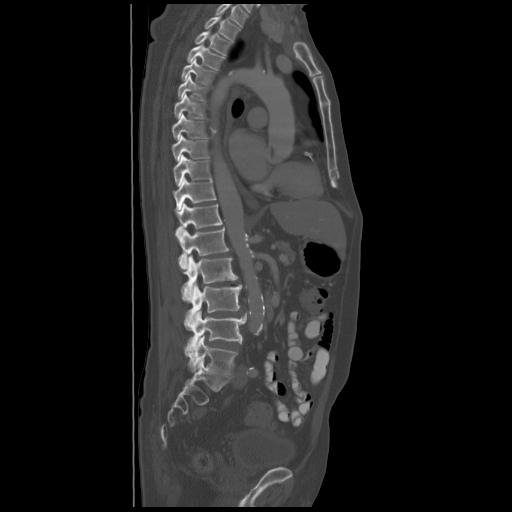

CT. sagittal view. Bone window (WL 400, WW 1800). 512x512 px. image width 600 mm
Bounding boxes as [x1, y1, x2, y2] in pixel coordinates.
This scan's labels start at T2 at the top and end at L5 at the bottom.
Vertebra bounding boxes:
- T2: [205, 16, 240, 42]
- T3: [194, 32, 231, 55]
- T4: [187, 44, 224, 70]
- T5: [181, 59, 216, 84]
- T6: [177, 74, 208, 100]
- T7: [174, 94, 205, 118]
- T8: [172, 113, 206, 139]
- T9: [171, 135, 209, 161]
- T10: [173, 154, 211, 186]
- T11: [173, 177, 216, 210]
- T12: [175, 203, 222, 236]
- L1: [178, 229, 228, 268]
- L2: [182, 255, 238, 299]
- L3: [184, 282, 241, 329]
- L4: [185, 311, 246, 352]
- L5: [188, 335, 237, 376]